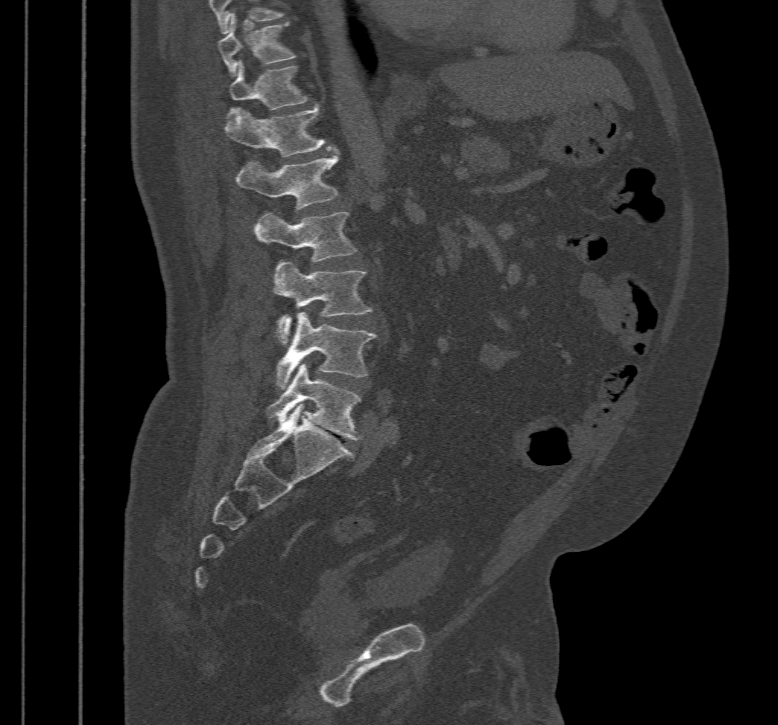

Computed tomography of the spine — sagittal view — 467 mm image width — bone-window reconstruction
<vertebrae><v name="T10" x1="219" y1="14" x2="295" y2="76"/><v name="T11" x1="230" y1="61" x2="308" y2="109"/><v name="T12" x1="225" y1="105" x2="332" y2="156"/><v name="L1" x1="236" y1="150" x2="340" y2="209"/><v name="L2" x1="254" y1="212" x2="358" y2="261"/><v name="L3" x1="274" y1="260" x2="373" y2="344"/><v name="L4" x1="277" y1="312" x2="376" y2="388"/><v name="L5" x1="266" y1="364" x2="361" y2="439"/></vertebrae>